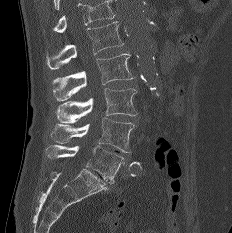

Spine CT. sagittal view. 232x233 px
Boxes below are [x1, y1, x2, y2] in pixels.
Where the top of the scan cuts through a vertebra, that vertebra gets no label or box.
{"vertebrae":{"L5":[45,145,124,184],"L4":[50,117,136,152],"L3":[56,88,137,123],"L2":[52,53,134,100],"L1":[46,21,123,69]}}